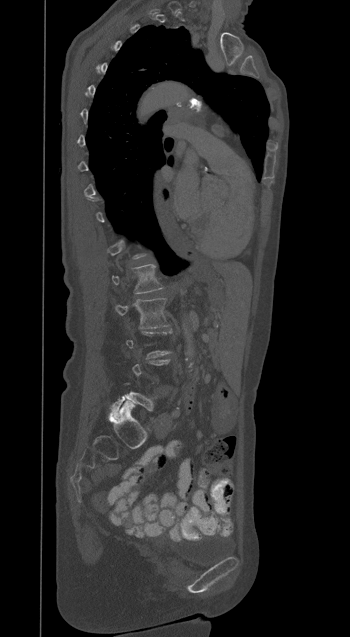 Spine CT — sagittal view — the image spans 350 mm across — bone-window reconstruction

A vertebra is boxed only from the first to the last slice where its cross-section is at least a third of its largest; slices outside that range leave it without a box.
<vertebrae><v name="L2" x1="112" y1="298" x2="168" y2="329"/><v name="L1" x1="112" y1="264" x2="162" y2="293"/></vertebrae>